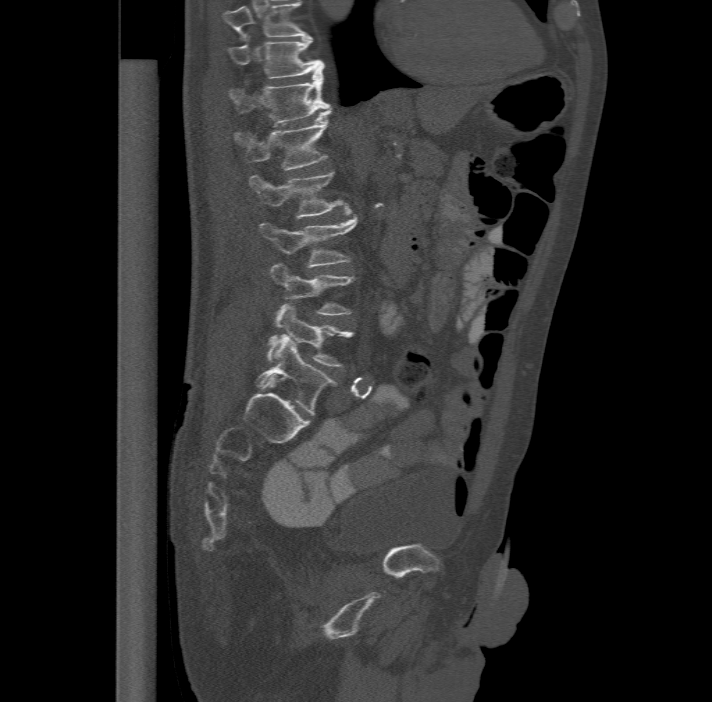

Spine CT — sagittal view — W/L 1800/400 HU
Boxes: x1 y1 x2 y2 (pixel coords, space-separated).
The highest labeled vertebra in this scan is T11; the lowest is L6.
These labels give the spine a sixth lumbar vertebra, L6, below L5.
T11: 227 36 324 76
T12: 228 68 330 123
L1: 234 109 330 169
L2: 249 171 348 217
L3: 260 215 358 266
L4: 270 262 352 314
L5: 267 303 352 367
L6: 257 335 334 415